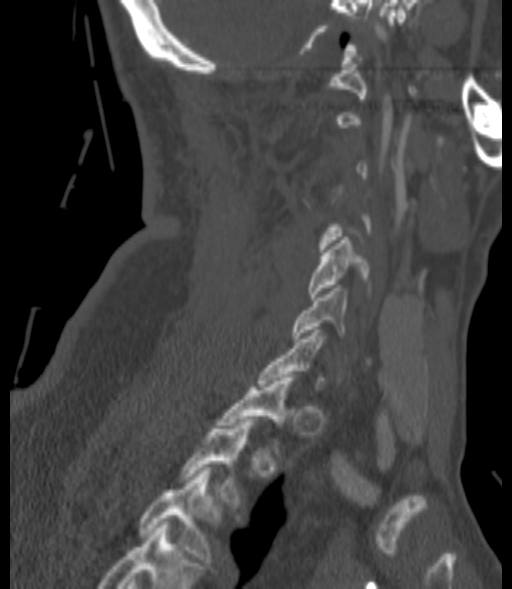

Spine computed tomography; sagittal view. Coordinates as <box>x1,y1,x2,y2</box>.
A vertebra is boxed only from the first to the last slice where its cross-section is at least a third of its largest; slices outside that range leave it without a box.
This scan's labels start at C1 at the top and end at T3 at the bottom.
C5: <box>308,237,370,300</box>
C6: <box>292,288,346,341</box>
T2: <box>180,419,253,505</box>
T3: <box>139,467,212,562</box>